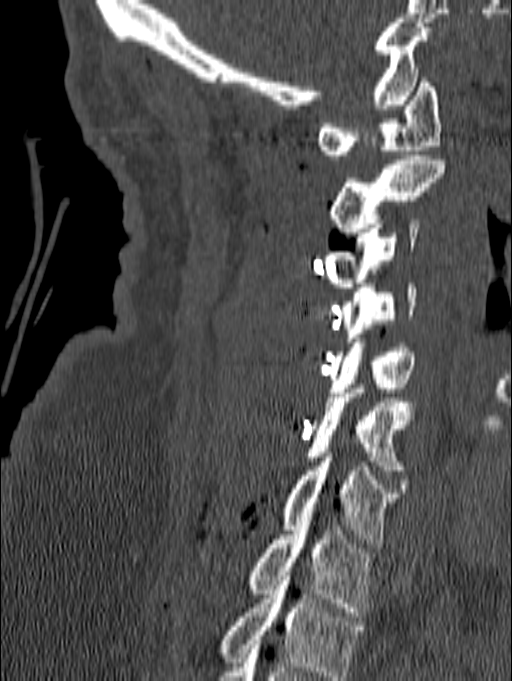

Spine computed tomography — sagittal view — the image spans 140 mm across. Each box given as x1,y1,x2,y2.
Labels in this scan begin with C1 at the top and end with T1 at the bottom.
| vertebra | x1 | y1 | x2 | y2 |
|---|---|---|---|---|
| C1 | 317 | 78 | 441 | 159 |
| C2 | 330 | 155 | 445 | 237 |
| C3 | 322 | 219 | 419 | 287 |
| C4 | 340 | 283 | 417 | 346 |
| C5 | 329 | 338 | 414 | 392 |
| C6 | 305 | 384 | 417 | 474 |
| C7 | 283 | 453 | 399 | 548 |
| T1 | 250 | 521 | 372 | 616 |